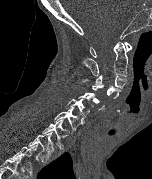 CT spine; sagittal view
Boxes are (x1, y1, x2, y2) in pixels.
In this scan, the topmost labeled vertebra is C1 and the lowest is T2.
Vertebra bounding boxes:
- C1: (90, 41, 132, 57)
- C2: (82, 41, 128, 77)
- C3: (82, 74, 127, 89)
- C4: (92, 84, 121, 98)
- C5: (78, 92, 104, 111)
- C6: (65, 98, 93, 117)
- C7: (54, 107, 84, 130)
- T1: (42, 119, 70, 150)
- T2: (28, 132, 54, 162)